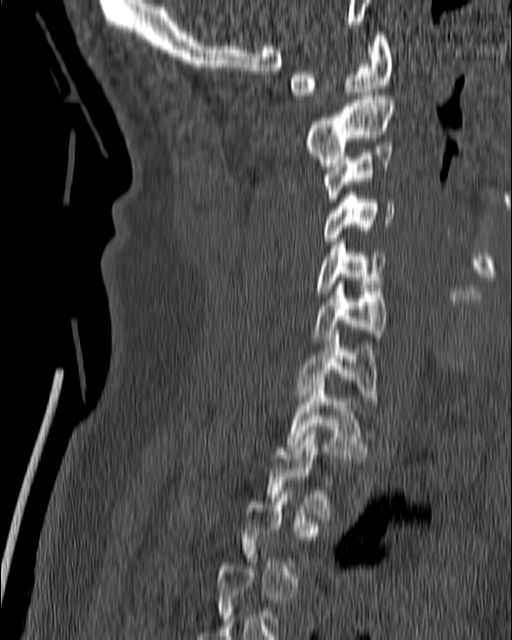 CT, spine · sagittal view. Boxes: x1:y1:x2:y2 in pixels.
A vertebra is boxed only from the first to the last slice where its cross-section is at least a third of its largest; slices outside that range leave it without a box.
C1: 289:32:392:99
C2: 305:92:395:166
C3: 322:146:392:202
C4: 311:192:395:244
C5: 316:238:387:294
C6: 311:281:387:340
C7: 294:331:378:397
T1: 285:377:367:461